Spine computed tomography. sagittal reformat. bone window
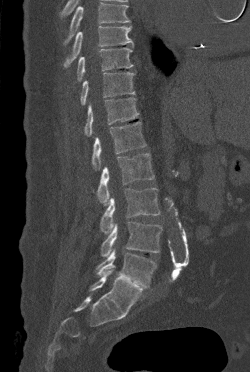 Each box given as x1,y1,x2,y2. No box is given to a vertebra that the top edge of the scan cuts off. 9 vertebrae labeled — T9 at x1=63, y1=26, x2=133, y2=67; T10 at x1=77, y1=47, x2=133, y2=81; T11 at x1=80, y1=72, x2=135, y2=105; T12 at x1=84, y1=97, x2=139, y2=136; L1 at x1=92, y1=121, x2=146, y2=169; L2 at x1=97, y1=153, x2=154, y2=205; L3 at x1=100, y1=188, x2=160, y2=233; L4 at x1=101, y1=221, x2=162, y2=257; L5 at x1=96, y1=249, x2=156, y2=288.